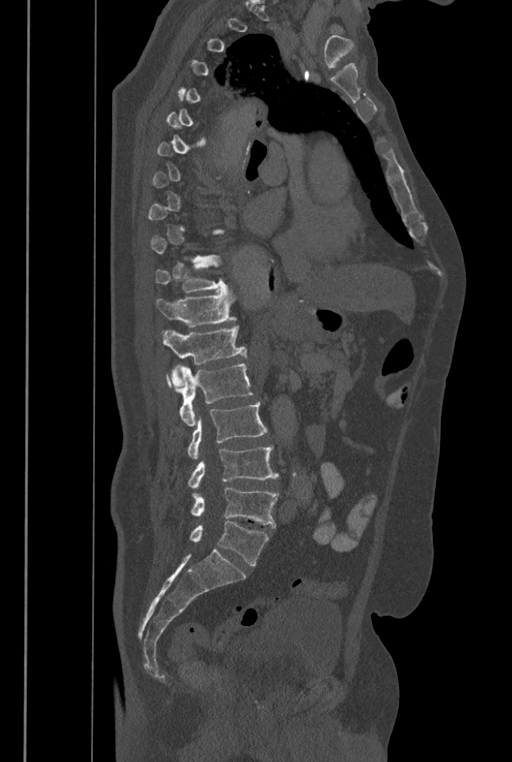

Spine computed tomography; sagittal view; image width 446 mm; bone window
Each box is [x1, y1, x2, y2] in pixels: top-left corner, then bottom-right corner.
A vertebra gets a box only on the slices from the first to the last where its cross-section is at least a third of its largest; on a slice outside that range it gets none.
These labels give the spine a sixth lumbar vertebra, L6, below L5.
{"vertebrae":{"T11":[155,256,229,292],"T12":[156,291,237,327],"L1":[163,325,247,386],"L2":[166,363,253,426],"L3":[187,401,268,459],"L4":[187,445,278,489],"L5":[190,487,278,527],"L6":[189,521,269,565]}}